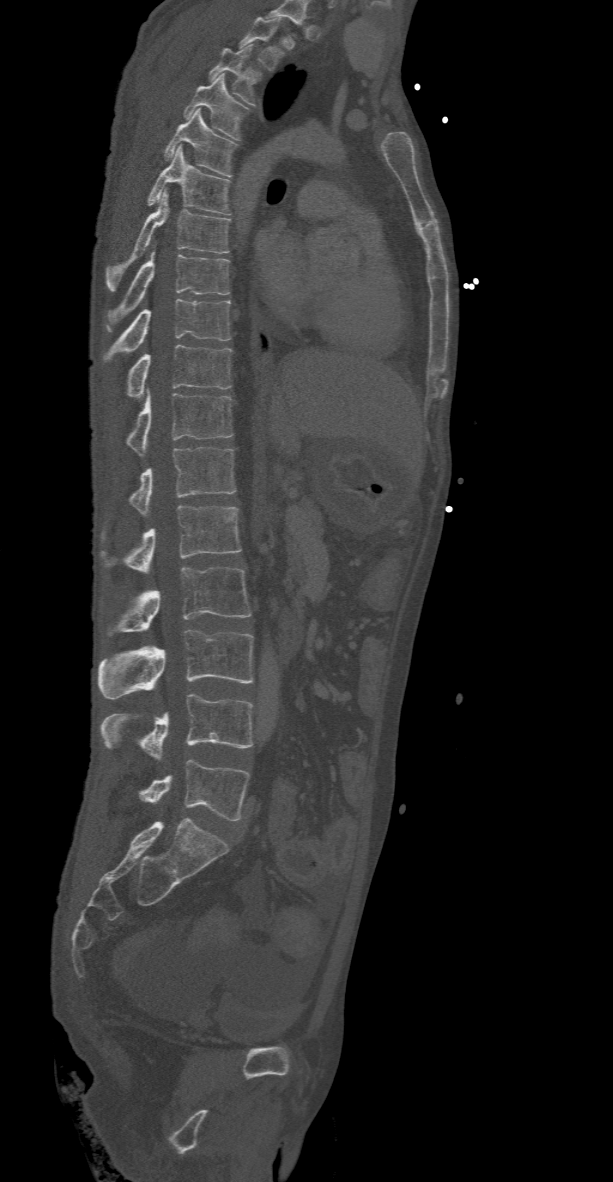
CT, spine. sagittal view. 368 mm wide
Bounding boxes as [x1, y1, x2, y2] in pixel coordinates. 16 vertebrae labeled — L5 at [140, 759, 248, 821]; L4 at [102, 694, 252, 761]; L3 at [98, 629, 252, 698]; L2 at [108, 567, 251, 635]; L1 at [99, 506, 241, 573]; T12 at [128, 447, 235, 515]; T11 at [125, 391, 233, 455]; T10 at [127, 344, 233, 396]; T9 at [103, 299, 230, 363]; T8 at [107, 249, 229, 330]; T7 at [107, 190, 229, 291]; T6 at [146, 146, 230, 215]; T5 at [163, 109, 235, 176]; T4 at [183, 74, 248, 140]; T3 at [208, 44, 261, 105]; T2 at [240, 16, 284, 70].